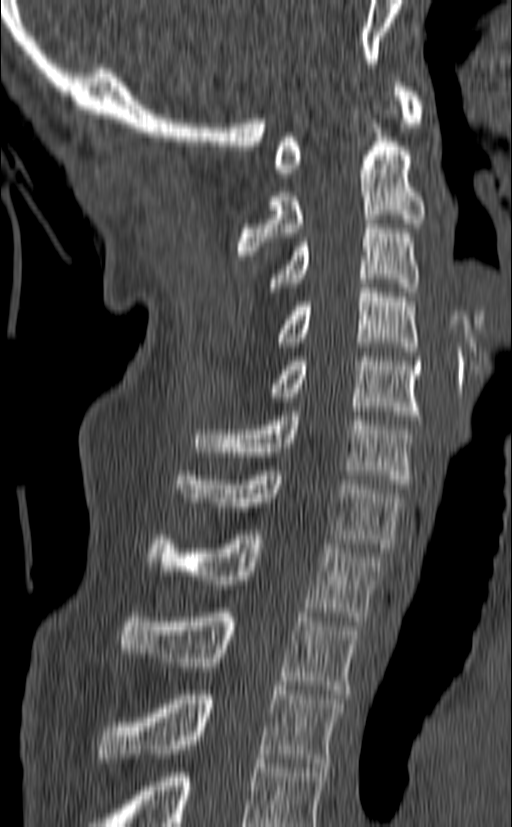
CT spine — 140 mm across the image — sagittal view — bone-window reconstruction — 512x827 px
Box edges are left/top/right/bottom in pixels.
This scan's labels start at C1 at the top and end at T3 at the bottom.
| vertebra | x1 | y1 | x2 | y2 |
|---|---|---|---|---|
| C1 | 275 | 78 | 424 | 177 |
| C2 | 237 | 123 | 425 | 255 |
| C3 | 268 | 219 | 419 | 292 |
| C4 | 279 | 283 | 417 | 351 |
| C5 | 268 | 352 | 421 | 420 |
| C6 | 195 | 411 | 414 | 488 |
| C7 | 177 | 466 | 403 | 552 |
| T1 | 148 | 530 | 384 | 621 |
| T2 | 118 | 608 | 359 | 694 |
| T3 | 96 | 686 | 344 | 767 |